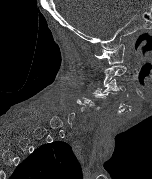

CT, spine · sagittal view · image 152 mm wide
Not every vertebra on this slice has a box: a vertebra is boxed only from the first to the last slice where its cross-section is at least a third of its largest, and this slice is outside that range for at least one of them.
<vertebrae><v name="C5" x1="81" y1="92" x2="106" y2="110"/><v name="C3" x1="101" y1="79" x2="125" y2="93"/><v name="C2" x1="103" y1="65" x2="126" y2="87"/><v name="C1" x1="94" y1="43" x2="124" y2="65"/></vertebrae>